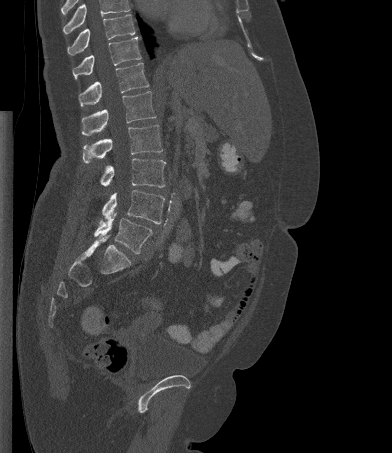
CT — sagittal view — 392x453 px. Boxes are given in columns x1, y1, x2, y2, the pixel coordinates of their top-left and bottom-right corners.
Vertebrae that run past the top of the scan are left unlabeled.
| vertebra | x1 | y1 | x2 | y2 |
|---|---|---|---|---|
| T10 | 67 | 14 | 135 | 55 |
| T11 | 72 | 37 | 141 | 79 |
| T12 | 78 | 62 | 149 | 106 |
| L1 | 81 | 91 | 156 | 135 |
| L2 | 82 | 125 | 162 | 163 |
| L3 | 100 | 158 | 165 | 187 |
| L4 | 102 | 190 | 164 | 224 |
| L5 | 94 | 214 | 152 | 254 |